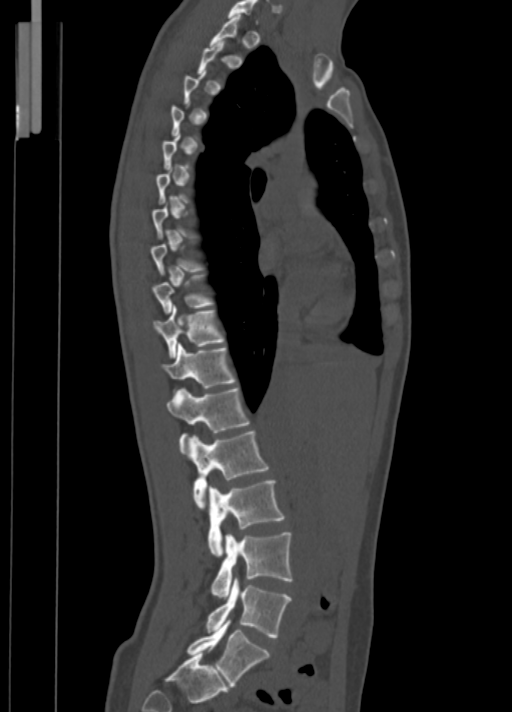
Spine CT; sagittal view; 512x712 px; image 350 mm wide
Boxes: x1 y1 x2 y2 (pixel coords, space-separated).
Each vertebra is boxed only on the slices from the first to the last where its cross-section reaches a third of its largest, so a slice outside that range leaves it unboxed.
C7: 228 0 258 22
T1: 209 15 240 46
T9: 152 275 214 314
T10: 152 306 224 357
T11: 161 344 236 388
T12: 167 388 249 454
L1: 190 430 268 508
L2: 207 480 284 556
L3: 212 532 293 597
L4: 206 578 291 637
L5: 187 620 269 687